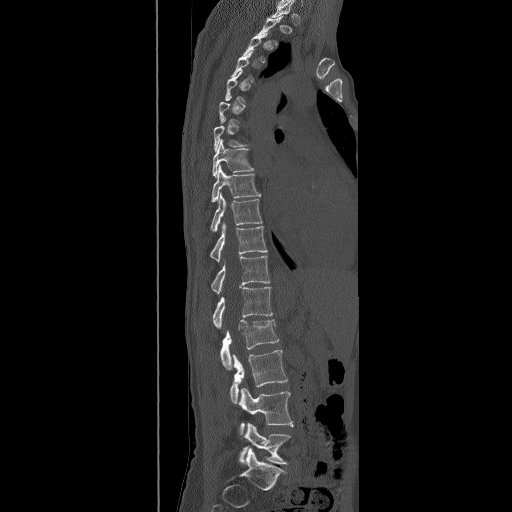

Spine CT. sagittal view
Bounding boxes as [x1, y1, x2, y2] in pixel coordinates. A vertebra is boxed only from the first to the last slice where its cross-section is at least a third of its largest; slices outside that range leave it without a box. Vertebrae labeled: T8 at [212, 139, 254, 178], T9 at [210, 164, 261, 203], T10 at [209, 193, 263, 232], T11 at [209, 222, 267, 262], T12 at [210, 255, 270, 294], L1 at [212, 287, 272, 329], L2 at [220, 319, 279, 370], L3 at [230, 350, 288, 404], L4 at [239, 387, 293, 435], L5 at [240, 423, 291, 464].